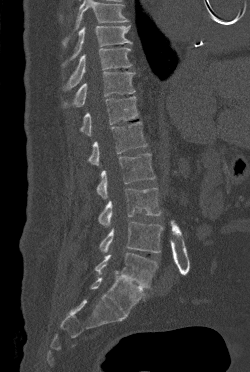 Computed tomography of the spine; sagittal reformat; bone-window reconstruction

Each box given as x1,y1,x2,y2.
Vertebrae that run past the top of the scan are left unlabeled.
| vertebra | x1 | y1 | x2 | y2 |
|---|---|---|---|---|
| L5 | 95 | 253 | 157 | 288 |
| L4 | 99 | 221 | 163 | 253 |
| L3 | 98 | 188 | 160 | 226 |
| L2 | 96 | 153 | 155 | 199 |
| L1 | 88 | 121 | 147 | 165 |
| T12 | 80 | 96 | 138 | 136 |
| T11 | 63 | 71 | 135 | 107 |
| T10 | 64 | 47 | 132 | 89 |
| T9 | 63 | 26 | 132 | 65 |